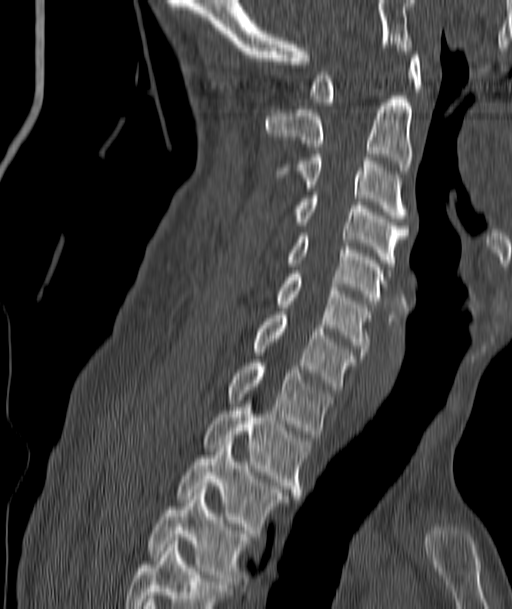
CT, spine. image 187 mm wide. sagittal view
<vertebrae><v name="C1" x1="310" y1="48" x2="422" y2="105"/><v name="C2" x1="266" y1="96" x2="413" y2="170"/><v name="C3" x1="277" y1="154" x2="405" y2="218"/><v name="C4" x1="294" y1="195" x2="408" y2="269"/><v name="C5" x1="286" y1="233" x2="386" y2="304"/><v name="C6" x1="275" y1="274" x2="369" y2="355"/><v name="C7" x1="253" y1="315" x2="356" y2="389"/><v name="T1" x1="228" y1="359" x2="331" y2="437"/><v name="T2" x1="203" y1="404" x2="309" y2="495"/><v name="T3" x1="176" y1="441" x2="287" y2="533"/><v name="T4" x1="149" y1="493" x2="249" y2="584"/></vertebrae>